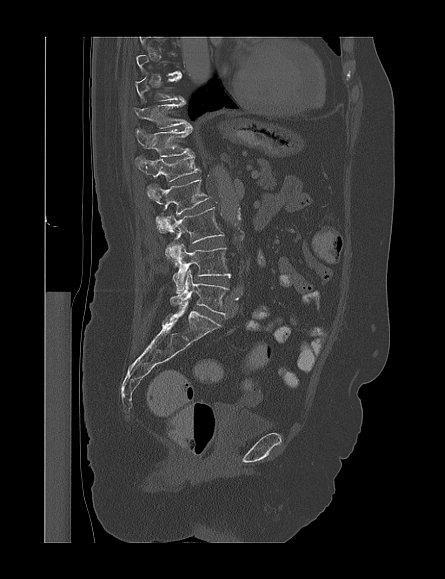 CT spine; sagittal view
Box edges are left/top/right/bottom in pixels.
A vertebra is boxed only from the first to the last slice where its cross-section is at least a third of its largest; slices outside that range leave it without a box.
| vertebra | x1 | y1 | x2 | y2 |
|---|---|---|---|---|
| L5 | 170 | 269 | 226 | 315 |
| L4 | 172 | 243 | 230 | 293 |
| L3 | 164 | 207 | 224 | 259 |
| L2 | 147 | 179 | 209 | 231 |
| L1 | 135 | 155 | 200 | 181 |
| T12 | 136 | 127 | 193 | 156 |
| T11 | 135 | 101 | 191 | 130 |
| T10 | 135 | 72 | 185 | 100 |